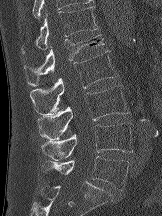
Computed tomography of the spine. 162 mm across the image. sagittal view. 162x216 px

Each box given as x1,y1,x2,y2.
Vertebra bounding boxes:
- T12: x1=21, y1=6, x2=98, y2=54
- L1: x1=24, y1=35, x2=105, y2=86
- L2: x1=30, y1=50, x2=118, y2=115
- L3: x1=37, y1=85, x2=128, y2=140
- L4: x1=41, y1=123, x2=132, y2=160
- L5: x1=41, y1=156, x2=129, y2=190